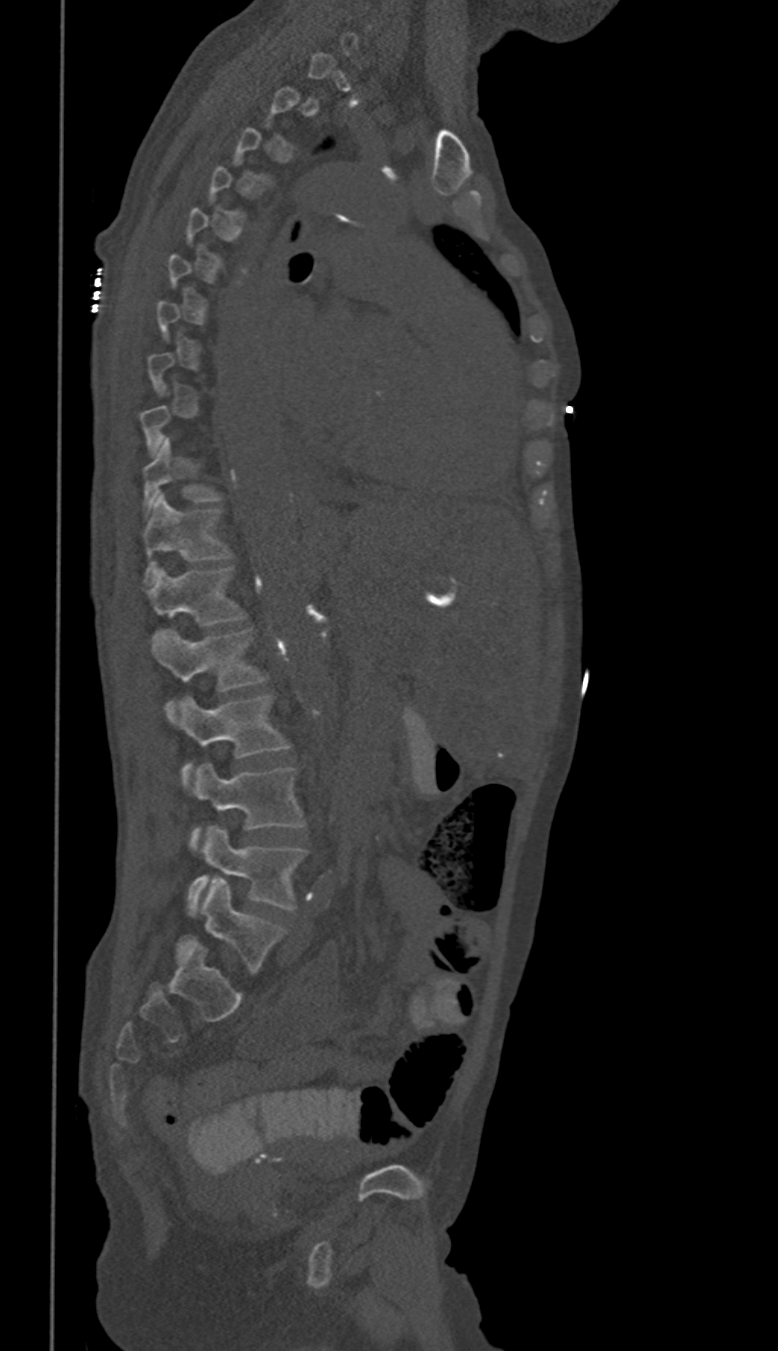

Spine CT · image width 350 mm · sagittal reformat · W/L 1800/400 HU
Each vertebra is boxed only on the slices from the first to the last where its cross-section reaches a third of its largest, so a slice outside that range leaves it unboxed.
In these labels the thoracic vertebrae end at T11, so L1 follows T11.
<vertebrae><v name="T10" x1="141" y1="436" x2="219" y2="515"/><v name="T11" x1="141" y1="494" x2="230" y2="582"/><v name="L1" x1="146" y1="567" x2="244" y2="626"/><v name="L2" x1="153" y1="629" x2="265" y2="717"/><v name="L3" x1="175" y1="696" x2="289" y2="782"/><v name="L4" x1="191" y1="763" x2="303" y2="848"/><v name="L5" x1="187" y1="827" x2="306" y2="915"/></vertebrae>